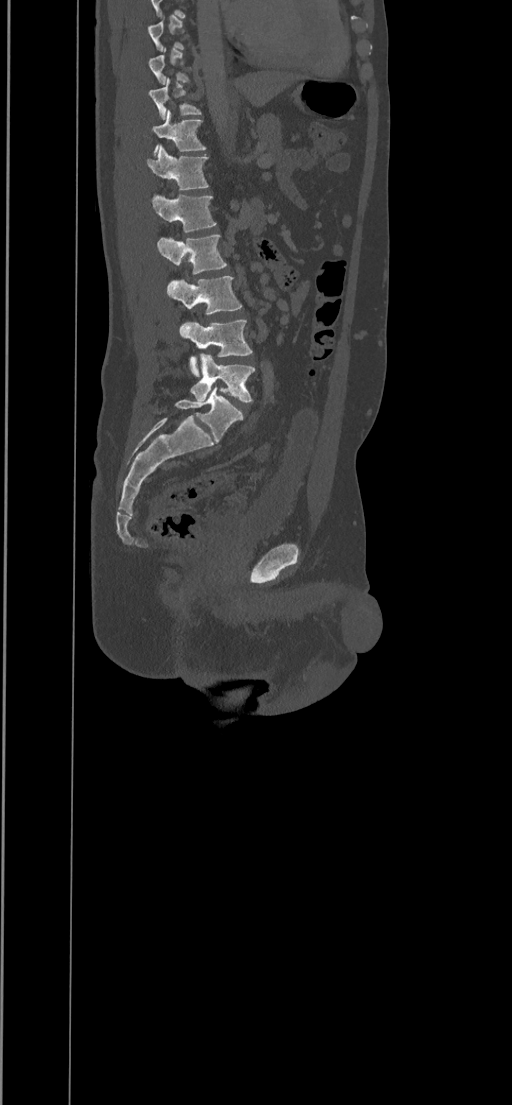

CT, spine — sagittal reformat — bone window

Box edges are left/top/right/bottom in pixels. A vertebra gets a box only on the slices from the first to the last where its cross-section is at least a third of its largest; on a slice outside that range it gets none. The labeled vertebrae in this slice are: L5 at left=190, top=354, right=255, bottom=402, L4 at left=179, top=320, right=253, bottom=376, L3 at left=166, top=276, right=242, bottom=314, L2 at left=157, top=235, right=227, bottom=274, L1 at left=152, top=194, right=216, bottom=232, T12 at left=146, top=145, right=209, bottom=190, T11 at left=152, top=110, right=205, bottom=156, T10 at left=149, top=78, right=201, bottom=119.